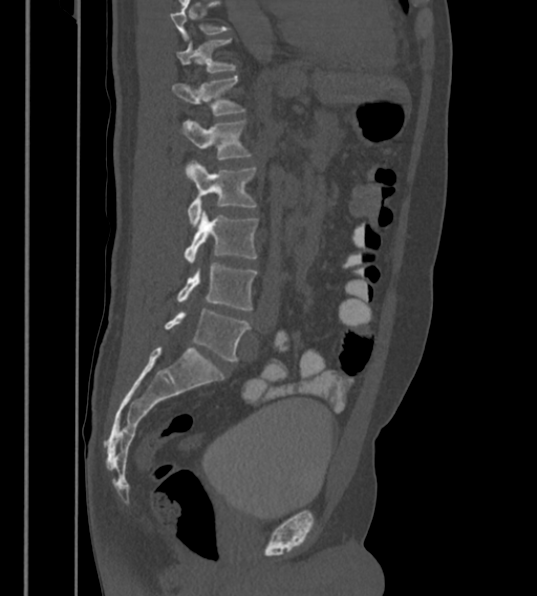 Spine computed tomography; sagittal view; bone window
Box edges are left/top/right/bottom in pixels.
This scan's labels start at T12 at the top and end at L6 at the bottom.
These labels give the spine a sixth lumbar vertebra, L6, below L5.
Vertebra bounding boxes:
- L6: left=165, top=309, right=250, bottom=361
- L5: left=177, top=264, right=258, bottom=310
- L4: left=185, top=210, right=258, bottom=264
- L3: left=188, top=161, right=256, bottom=226
- L2: left=180, top=121, right=250, bottom=178
- L1: left=172, top=76, right=242, bottom=115
- T12: left=176, top=40, right=235, bottom=73